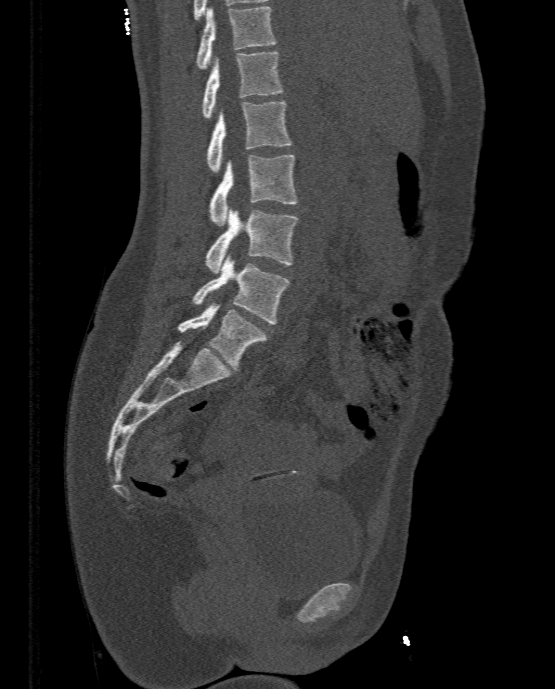 CT; sagittal view; Bone window (WL 400, WW 1800). Coordinates as <box>x1,y1,x2,y2</box>.
L5: <box>178,303,267,370</box>
L4: <box>192,256,291,324</box>
L3: <box>205,210,298,273</box>
L2: <box>208,154,297,225</box>
L1: <box>206,101,292,172</box>
T12: <box>202,51,284,118</box>
T11: <box>196,6,276,68</box>